Spine computed tomography. sagittal reformat. bone window. a region is masked with a constant gray value
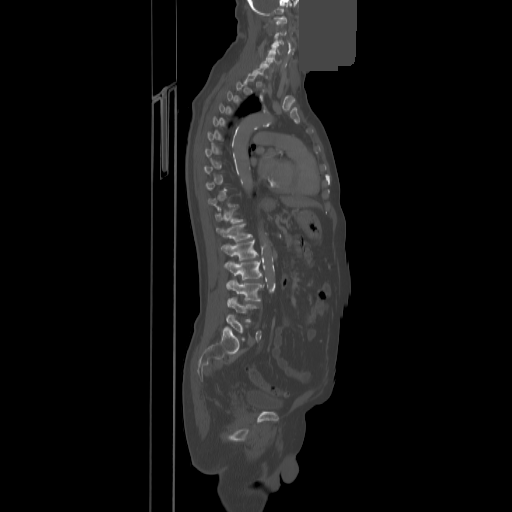
Boxes: x1:y1:x2:y2 in pixels. A vertebra is boxed only from the first to the last slice where its cross-section is at least a third of its largest; slices outside that range leave it without a box. The labeled vertebrae in this slice are: L5 at 226:314:247:340, L4 at 228:297:257:321, L3 at 226:280:264:301, L2 at 225:261:262:280, L1 at 221:240:258:260, T12 at 216:223:252:241, T11 at 215:208:242:223, C7 at 253:66:265:75, C6 at 260:60:273:71, C5 at 266:52:280:64, C4 at 268:44:280:54, C3 at 272:38:283:45, C1 at 274:16:286:25.